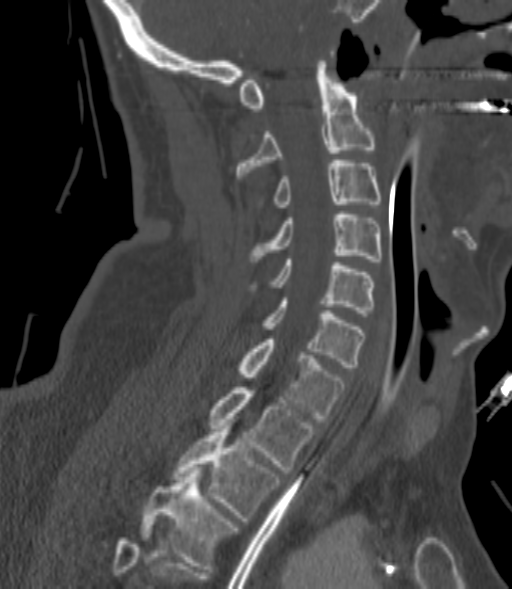

CT, spine. sagittal reformat. 200 mm wide. Bone window (WL 400, WW 1800)
Each box given as x1,y1,x2,y2.
A vertebra gets a box only on the slices from the first to the last where its cross-section is at least a third of its largest; on a slice outside that range it gets none.
C2: x1=236, y1=64, x2=374, y2=178
C3: x1=259, y1=160, x2=381, y2=207
C4: x1=249, y1=211, x2=381, y2=261
C5: x1=252, y1=259, x2=374, y2=313
C6: x1=262, y1=298, x2=363, y2=367
C7: x1=236, y1=339, x2=345, y2=421
T1: x1=208, y1=387, x2=315, y2=473
T2: x1=172, y1=429, x2=281, y2=521
T3: x1=139, y1=470, x2=238, y2=569